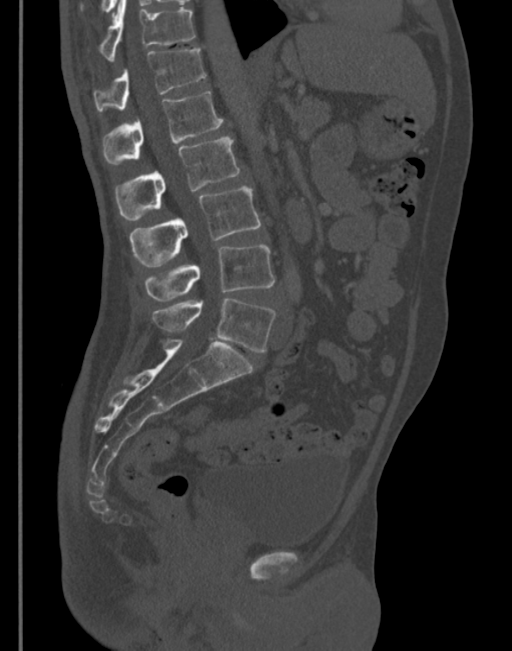 Spine CT; sagittal view; Bone window (WL 400, WW 1800). Each box given as x1,y1,x2,y2.
T11: x1=89, y1=0, x2=195, y2=61
T12: x1=93, y1=49, x2=205, y2=113
L1: x1=102, y1=91, x2=223, y2=163
L2: x1=116, y1=138, x2=239, y2=220
L3: x1=129, y1=186, x2=260, y2=267
L4: x1=145, y1=245, x2=275, y2=299
L5: x1=153, y1=299, x2=275, y2=352